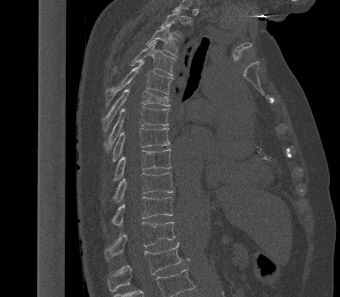

Computed tomography of the spine — sagittal view — 340x297 px

Boxes are (x1, y1, x2, y2) in pixels.
This scan's labels start at T2 at the top and end at L1 at the bottom.
Vertebra bounding boxes:
- T2: (160, 12, 181, 36)
- T3: (146, 25, 178, 56)
- T4: (130, 42, 175, 75)
- T5: (106, 61, 173, 104)
- T6: (102, 88, 170, 130)
- T7: (104, 106, 169, 149)
- T8: (112, 128, 170, 161)
- T9: (112, 149, 171, 181)
- T10: (112, 172, 174, 202)
- T11: (111, 197, 173, 226)
- T12: (104, 222, 175, 260)
- L1: (107, 242, 181, 291)